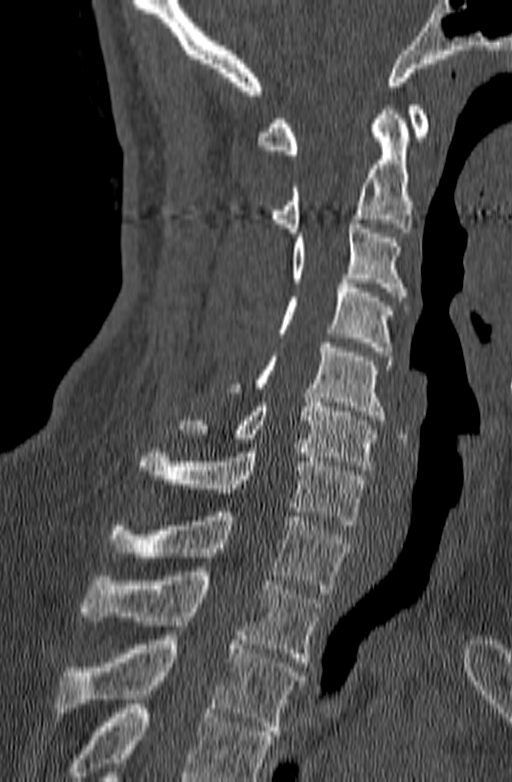
Spine CT — sagittal view — bone window — 512x782 px. Columns x1, y1, x2, y2 give each box's top-left and bottom-right pixels.
No box is given to a vertebra that the bottom edge of the scan cuts off.
| vertebra | x1 | y1 | x2 | y2 |
|---|---|---|---|---|
| C1 | 257 | 105 | 428 | 154 |
| C2 | 268 | 105 | 414 | 232 |
| C3 | 290 | 219 | 407 | 301 |
| C4 | 276 | 279 | 392 | 356 |
| C5 | 228 | 343 | 391 | 420 |
| C6 | 178 | 398 | 377 | 470 |
| C7 | 137 | 448 | 366 | 525 |
| T1 | 107 | 507 | 351 | 593 |
| T2 | 81 | 571 | 320 | 662 |
| T3 | 55 | 631 | 305 | 735 |